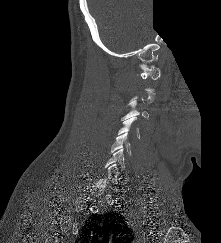
CT spine — sagittal view — bone window — a portion of the image is blanked out (constant pixel value). Box edges are left/top/right/bottom in pixels.
A vertebra is boxed only from the first to the last slice where its cross-section is at least a third of its largest; slices outside that range leave it without a box.
Vertebra bounding boxes:
- C7: left=99, top=164, right=121, bottom=184
- C6: left=105, top=149, right=124, bottom=171
- C5: left=111, top=132, right=131, bottom=155
- C4: left=117, top=117, right=139, bottom=138
- C3: left=121, top=99, right=149, bottom=120
- C1: left=139, top=64, right=160, bottom=80